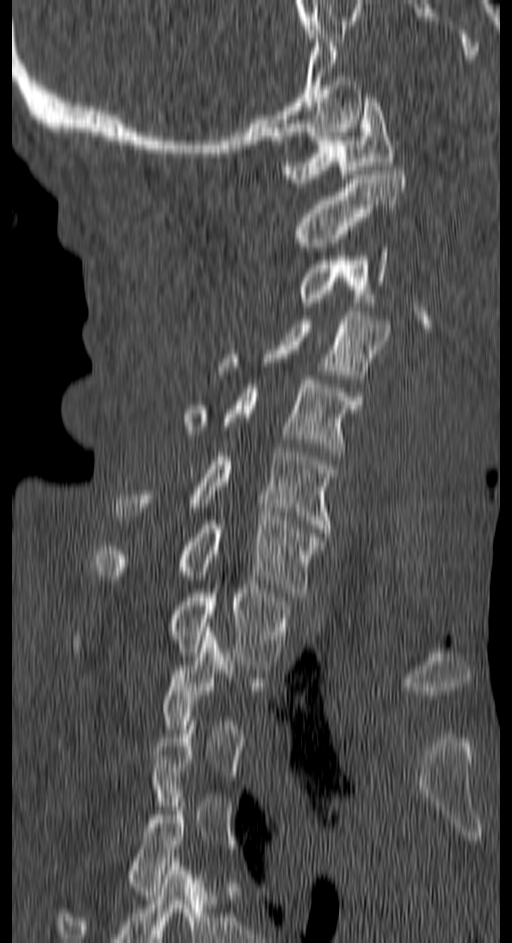
CT, spine — sagittal reformat — bone window — 150 mm wide
Each vertebra maps to its box as [x1, y1, x2, y2], the pixel coordinates of its top-left and bottom-right corners.
A vertebra gets a box only on the slices from the first to the last where its cross-section is at least a third of its largest; on a slice outside that range it gets none.
{"vertebrae":{"C1":[281,98,395,182],"C2":[291,166,406,251],"C3":[298,247,386,302],"C4":[219,311,390,383],"C5":[183,375,363,456],"C6":[114,448,335,532],"C7":[93,516,321,596],"T1":[73,585,287,665],"T4":[55,798,185,942]}}